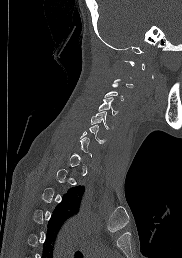 Spine CT; sagittal reformat

Each box is [x1, y1, x2, y2] in pixels: top-left corner, then bottom-right corner.
Each vertebra is boxed only on the slices from the first to the last where its cross-section reaches a third of its largest, so a slice outside that range leaves it unboxed.
{"vertebrae":{"C3":[102,83,124,101],"C4":[98,97,117,115],"C5":[90,111,110,128],"C6":[80,125,106,143]}}